Computed tomography of the spine — sagittal plane, index 284 — Bone window (WL 400, WW 1800)
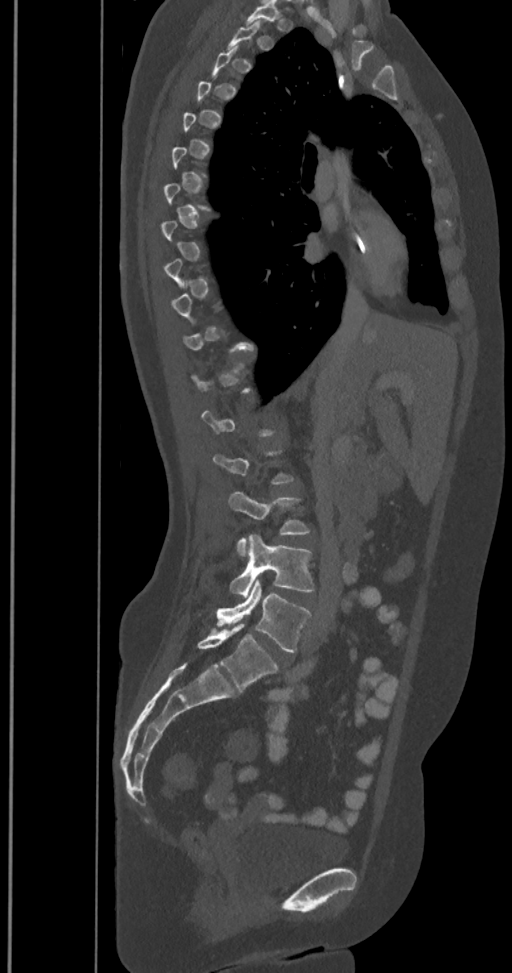

Bounding boxes as [x1, y1, x2, y2] in pixel coordinates.
A vertebra gets a box only on the slices from the first to the last where its cross-section is at least a third of its largest; on a slice outside that range it gets none.
These labels give the spine a sixth lumbar vertebra, L6, below L5.
L6: [197, 625, 278, 690]
L5: [216, 579, 310, 652]
L4: [229, 535, 313, 597]
L3: [228, 490, 309, 555]